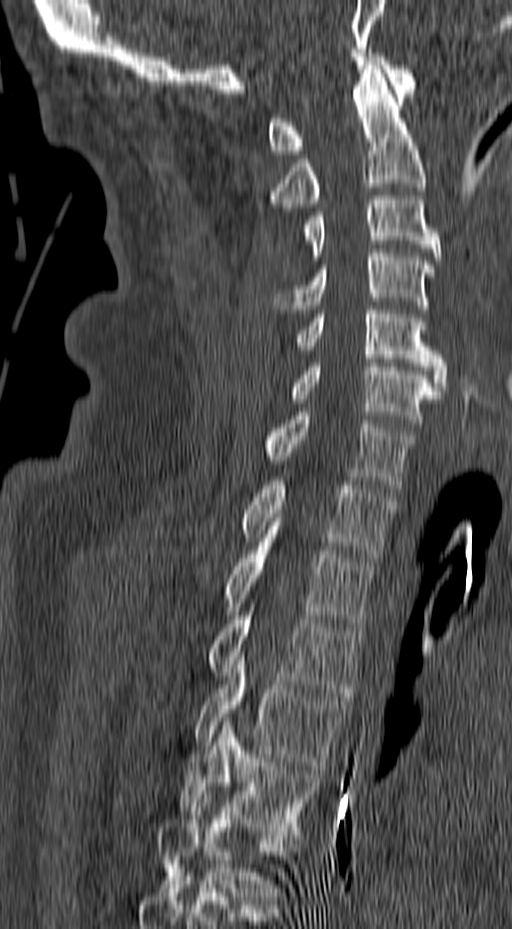
CT spine. sagittal view. Bone window (WL 400, WW 1800). 157 mm across the image
Boxes: x1:y1:x2:y2 in pixels. 13 vertebrae labeled — T6 at 157:795:296:900; T5 at 179:717:320:835; T4 at 194:652:349:769; T3 at 210:607:362:696; T2 at 226:542:375:627; T1 at 242:481:398:557; C7 at 265:412:418:488; C6 at 288:359:442:427; C5 at 296:306:447:390; C4 at 273:249:435:309; C3 at 304:196:440:260; C2 at 269:65:427:207; C1 at 268:53:416:154.